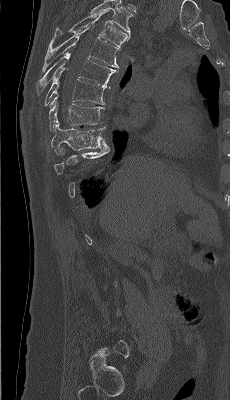

Spine CT · sagittal reformat · 230 mm across the image · bone-window reconstruction

Box edges are left/top/right/bottom in pixels.
Each vertebra is boxed only on the slices from the first to the last where its cross-section reaches a third of its largest, so a slice outside that range leaves it unboxed.
The highest labeled vertebra in this scan is T4; the lowest is L5.
T9: left=51, top=120, right=106, bottom=154
T8: left=49, top=93, right=104, bottom=132
T7: left=44, top=68, right=105, bottom=106
T6: left=37, top=51, right=117, bottom=96
T5: left=42, top=26, right=120, bottom=72
T4: left=48, top=10, right=130, bottom=49